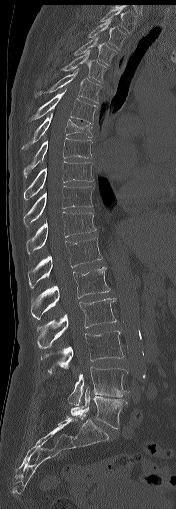 Spine CT · sagittal view
Each box is [x1, y1, x2, y2] in pixels: top-left corner, then bottom-right corner.
{"vertebrae":{"T1":[100,7,136,33],"T2":[87,19,125,50],"T3":[73,37,117,65],"T4":[63,51,106,82],"T5":[34,68,102,103],"T6":[28,89,97,123],"T7":[21,113,92,149],"T8":[23,137,92,177],"T9":[23,161,94,201],"T10":[23,186,94,226],"T11":[26,212,96,254],"T12":[28,238,101,288],"L1":[31,267,110,319],"L2":[37,298,116,348],"L3":[41,331,123,373],"L4":[68,366,129,405],"L5":[71,388,126,428]}}